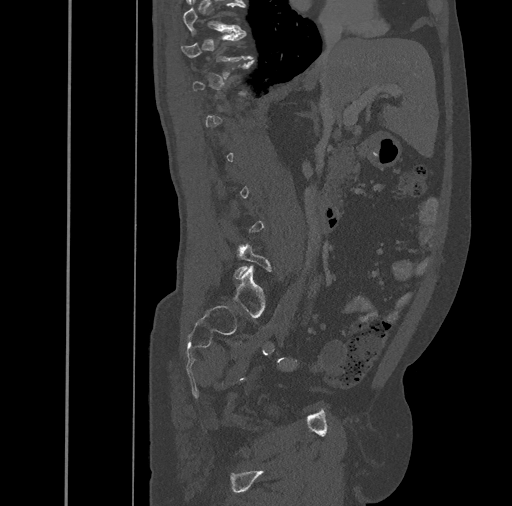
CT spine — sagittal reformat — bone window. Coordinates as <box>x1,y1,x2,y2</box>.
A vertebra gets a box only on the slices from the first to the last where its cross-section is at least a third of its largest; on a slice outside that range it gets none.
T10: <box>183,3,242,34</box>
T11: <box>181,31,253,61</box>